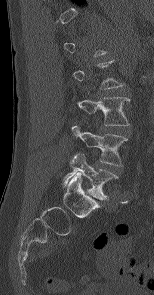 CT. 154 mm image width. sagittal view. 154x295 px

Bounding boxes as [x1, y1, x2, y2] in pixel coordinates.
Each vertebra is boxed only on the slices from the first to the last where its cross-section reaches a third of its largest, so a slice outside that range leaves it unboxed.
L3: [77, 97, 129, 125]
L4: [71, 125, 127, 166]
L5: [62, 152, 118, 199]